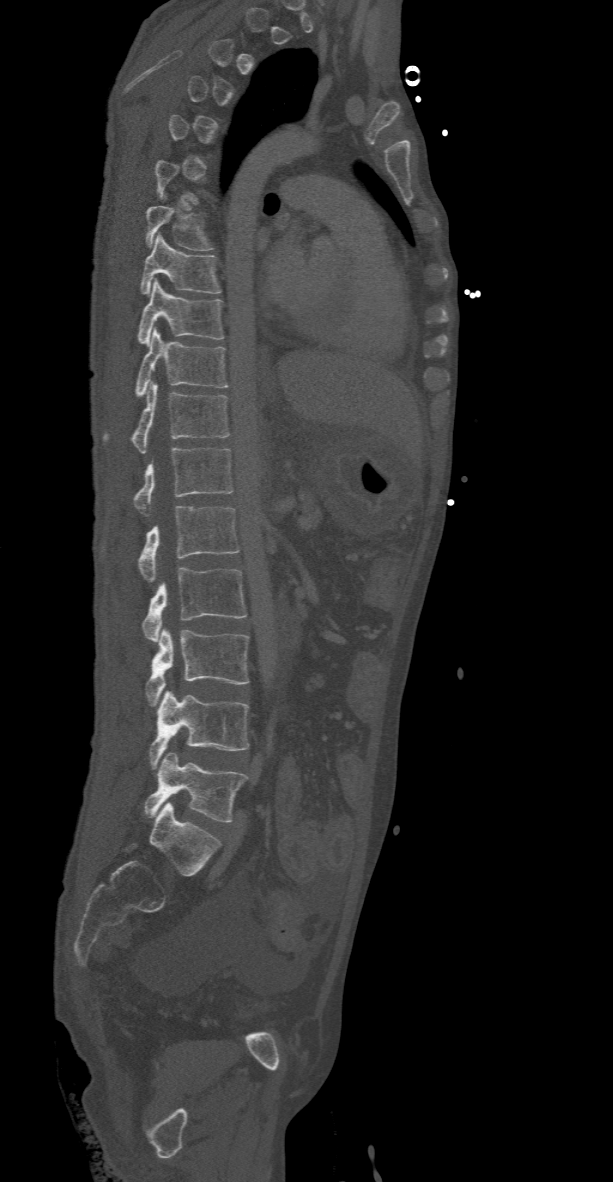

CT, spine; sagittal view

Boxes below are [x1, y1, x2, y2] in pixels.
A vertebra gets a box only on the slices from the first to the last where its cross-section is at least a third of its largest; on a slice outside that range it gets none.
{"vertebrae":{"L5":[145,752,248,821],"L4":[149,689,248,768],"L3":[145,626,248,705],"L2":[141,567,247,641],"L1":[138,506,239,581],"T12":[133,447,233,515],"T11":[103,382,229,453],"T10":[134,327,227,396],"T9":[137,279,224,345],"T8":[140,234,221,295],"T7":[145,206,212,250]}}